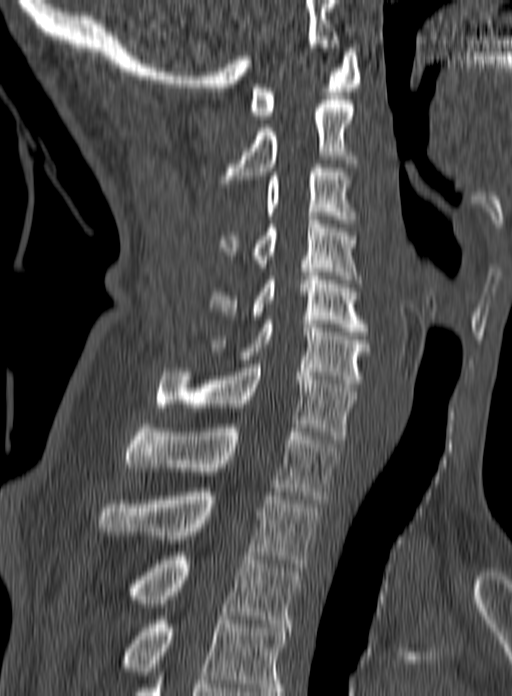
Spine CT. sagittal view. Columns x1, y1, x2, y2 give each box's top-left and bottom-right pixels.
In this scan, the topmost labeled vertebra is C1 and the lowest is T3.
| vertebra | x1 | y1 | x2 | y2 |
|---|---|---|---|---|
| T3 | 132 | 552 | 301 | 627 |
| T2 | 97 | 488 | 320 | 567 |
| T1 | 125 | 424 | 339 | 499 |
| C7 | 155 | 364 | 356 | 443 |
| C6 | 204 | 320 | 370 | 387 |
| C5 | 209 | 276 | 368 | 335 |
| C4 | 219 | 216 | 362 | 287 |
| C3 | 264 | 164 | 356 | 223 |
| C2 | 218 | 100 | 359 | 183 |
| C1 | 250 | 48 | 362 | 119 |